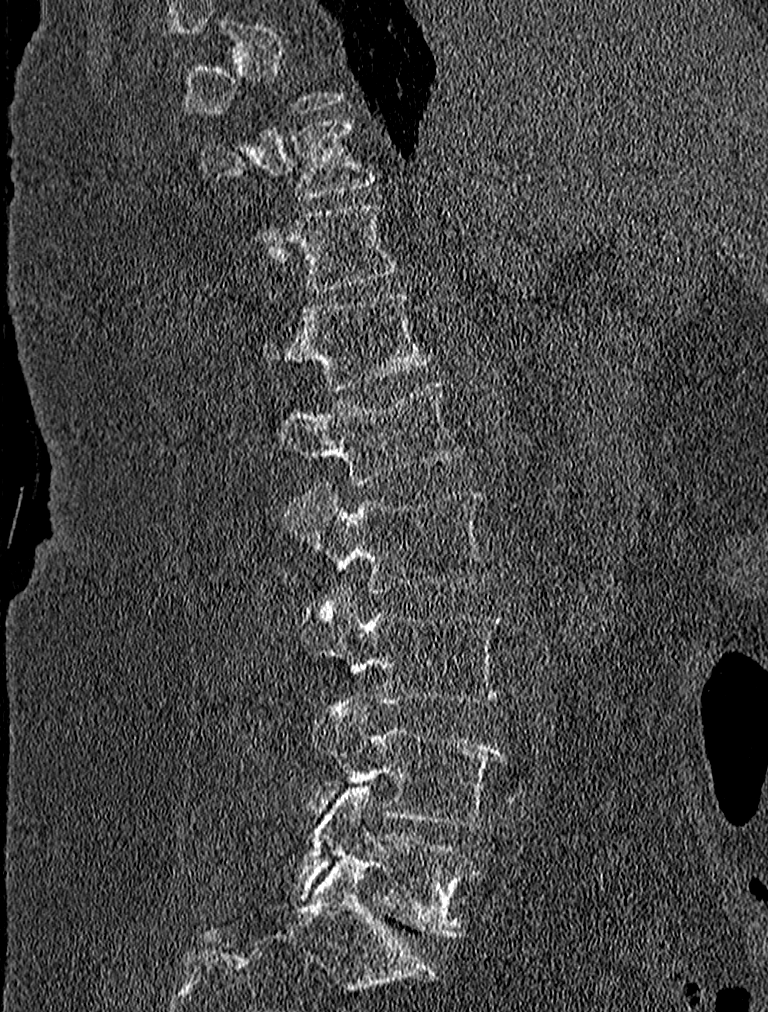 Spine computed tomography · sagittal view · bone-window reconstruction

In the table, x1 and y1 are a box's top-left corner and x2 and y2 its bottom-right corner, in pixels.
A vertebra gets a box only on the slices from the first to the last where its cross-section is at least a third of its largest; on a slice outside that range it gets none.
| vertebra | x1 | y1 | x2 | y2 |
|---|---|---|---|---|
| T10 | 201 | 119 | 373 | 198 |
| T11 | 249 | 202 | 400 | 293 |
| T12 | 262 | 291 | 434 | 389 |
| L1 | 276 | 379 | 465 | 483 |
| L2 | 283 | 481 | 492 | 593 |
| L3 | 301 | 583 | 505 | 704 |
| L4 | 311 | 696 | 504 | 826 |
| L5 | 293 | 786 | 478 | 938 |